Spine computed tomography. sagittal plane, index 432. W/L 1800/400 HU. scan covers 9 annotated vertebrae
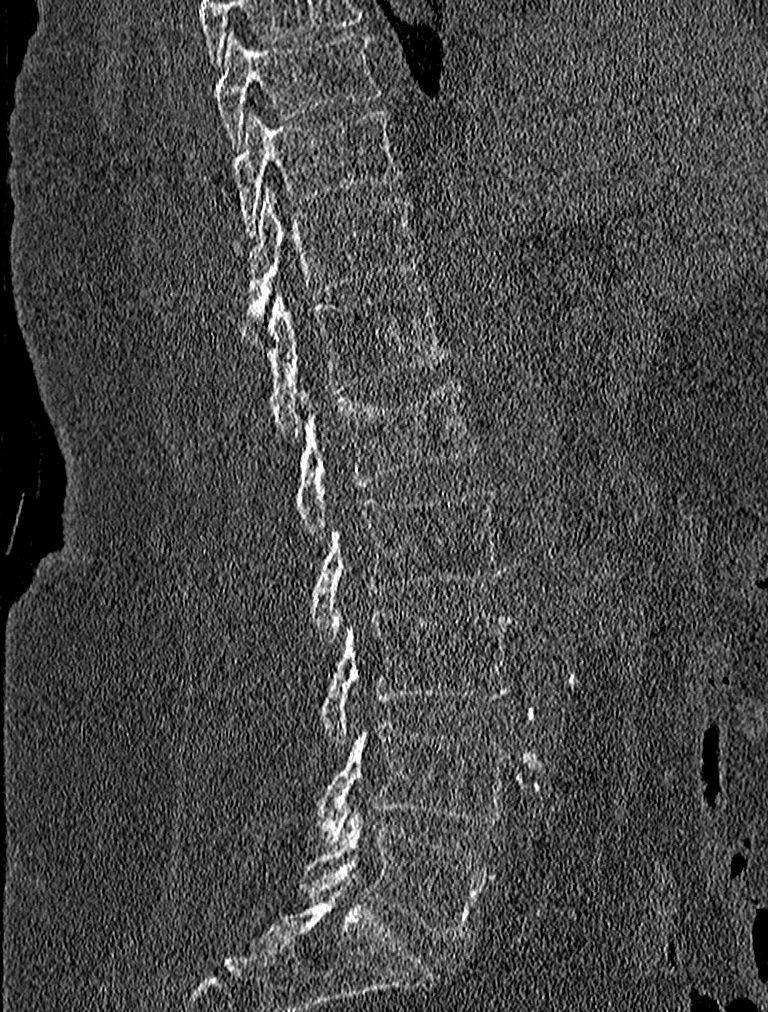 Each row gives a vertebra's box as x1, y1, x2, y2 in pixels: top-left corner, then bottom-right corner.
| vertebra | x1 | y1 | x2 | y2 |
|---|---|---|---|---|
| T9 | 215 | 30 | 380 | 148 |
| T10 | 232 | 108 | 400 | 237 |
| T11 | 234 | 187 | 417 | 320 |
| T12 | 252 | 285 | 448 | 441 |
| L1 | 297 | 379 | 478 | 539 |
| L2 | 310 | 487 | 505 | 640 |
| L3 | 320 | 611 | 515 | 742 |
| L4 | 309 | 719 | 512 | 839 |
| L5 | 300 | 810 | 492 | 941 |